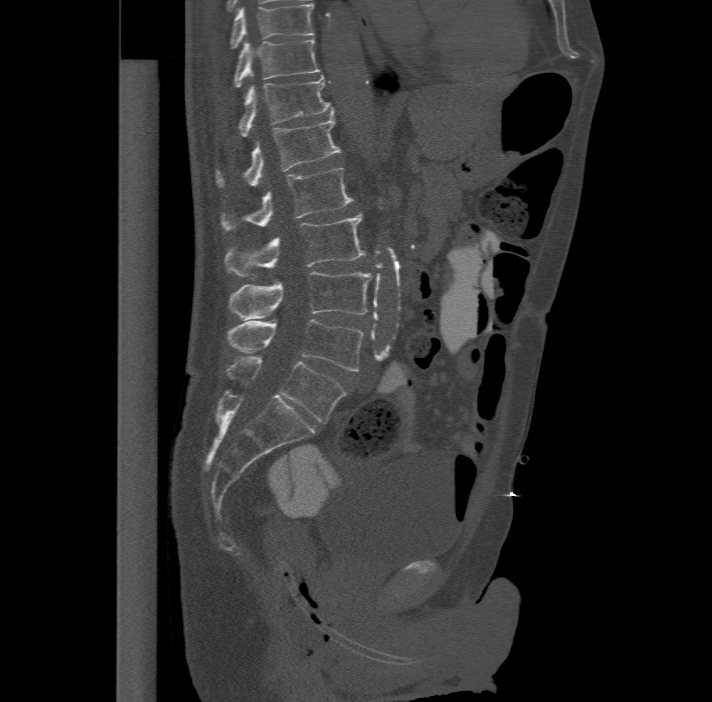 CT, spine — sagittal view — 712x702 px
Each box given as x1,y1,x2,y2.
This scan's labels start at T11 at the top and end at L6 at the bottom.
In these labels the spine has an L6, a sixth lumbar vertebra below L5.
Vertebra bounding boxes:
- T11: x1=232, y1=39, x2=320, y2=87
- T12: x1=238, y1=72, x2=333, y2=135
- L1: x1=217, y1=110, x2=341, y2=187
- L2: x1=221, y1=167, x2=352, y2=230
- L3: x1=224, y1=213, x2=366, y2=278
- L4: x1=228, y1=270, x2=372, y2=318
- L5: x1=227, y1=318, x2=363, y2=371
- L6: x1=225, y1=354, x2=345, y2=422